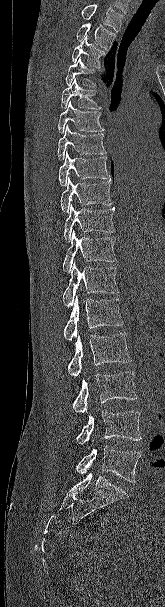
Computed tomography of the spine · 165 mm across the image · sagittal view · bone-window reconstruction
No box is given to a vertebra that the top edge of the scan cuts off.
<vertebrae><v name="T2" x1="76" y1="23" x2="115" y2="49"/><v name="T3" x1="72" y1="36" x2="106" y2="68"/><v name="T4" x1="65" y1="57" x2="96" y2="86"/><v name="T5" x1="60" y1="78" x2="101" y2="109"/><v name="T6" x1="58" y1="101" x2="104" y2="133"/><v name="T7" x1="57" y1="125" x2="106" y2="160"/><v name="T8" x1="59" y1="151" x2="109" y2="185"/><v name="T9" x1="60" y1="176" x2="112" y2="213"/><v name="T10" x1="63" y1="204" x2="115" y2="241"/><v name="T11" x1="62" y1="230" x2="116" y2="273"/><v name="T12" x1="62" y1="262" x2="119" y2="307"/><v name="L1" x1="63" y1="295" x2="123" y2="341"/><v name="L2" x1="67" y1="332" x2="131" y2="377"/><v name="L3" x1="72" y1="371" x2="137" y2="413"/><v name="L4" x1="76" y1="411" x2="141" y2="444"/><v name="L5" x1="76" y1="445" x2="141" y2="482"/></vertebrae>